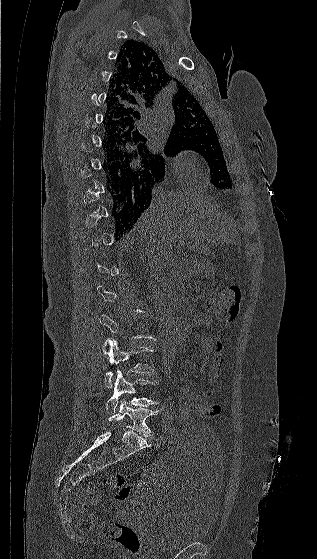

Spine CT. sagittal view. Bone window (WL 400, WW 1800)
Boxes: x1 y1 x2 y2 (pixel coords, space-separated).
Each vertebra is boxed only on the slices from the first to the last where its cross-section reaches a third of its largest, so a slice outside that range leaves it unboxed.
L5: 108 399 158 436
L4: 106 369 159 413
L3: 101 338 154 387